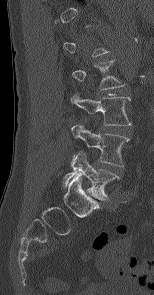

Spine computed tomography; sagittal view; 154x295 px
Coordinates as <box>x1,y1,x2,y2</box>.
Each vertebra is boxed only on the slices from the first to the last where its cross-section reaches a third of its largest, so a slice outside that range leaves it unboxed.
L2: <box>72,59,124,89</box>
L3: <box>70,92,132,125</box>
L4: <box>71,124,128,166</box>
L5: <box>62,151,120,200</box>